Spine computed tomography; Sagittal slice 206/512; 512x762 px
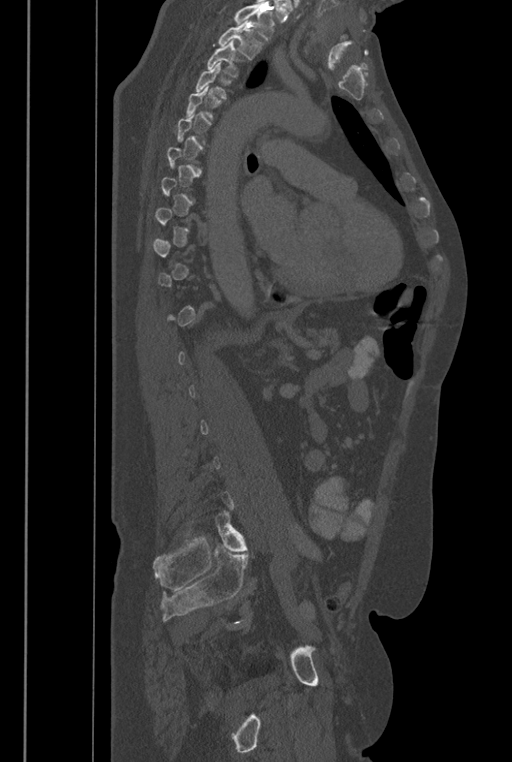

Boxes below are [x1, y1, x2, y2] in pixels.
A vertebra is boxed only from the first to the last slice where its cross-section is at least a third of its largest; slices outside that range leave it without a box.
Vertebrae that run past the top of the scan are left unlabeled.
In these labels the spine has an L6, a sixth lumbar vertebra below L5.
{"vertebrae":{"T2":[218,20,264,59],"T3":[208,40,244,76],"T4":[195,62,226,99],"L6":[215,511,247,551]}}